Spine computed tomography · sagittal view · bone window
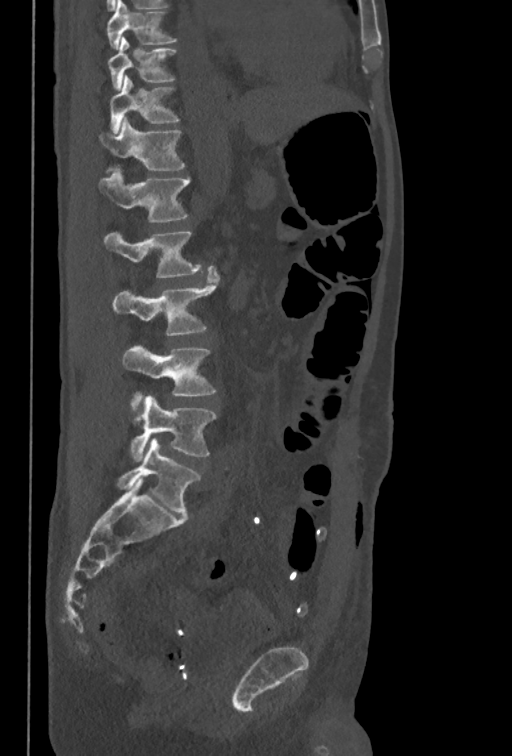 Each vertebra maps to its box as [x1, y1, x2, y2], the pixel coordinates of its top-left and bottom-right corners.
This scan's labels start at T10 at the top and end at L5 at the bottom.
{"vertebrae":{"T10":[108,37,176,90],"T11":[109,75,179,133],"T12":[98,117,185,170],"L1":[99,171,189,222],"L2":[104,230,202,277],"L3":[112,266,219,335],"L4":[123,345,215,410],"L5":[130,396,215,461]}}